Spine computed tomography; sagittal plane, index 67; the image spans 228 mm across; W/L 1800/400 HU
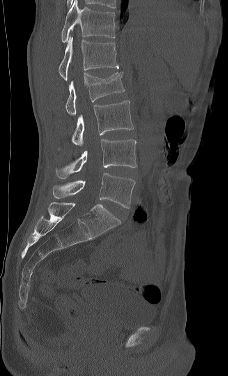
Box values are [left, top, right, bottom] in pixels.
Labels in this scan begin with L1 at the top and end with L5 at the bottom.
{"vertebrae":{"L1":[57,35,118,80],"L2":[65,71,124,115],"L3":[71,100,133,146],"L4":[55,139,136,178],"L5":[52,173,135,208]}}